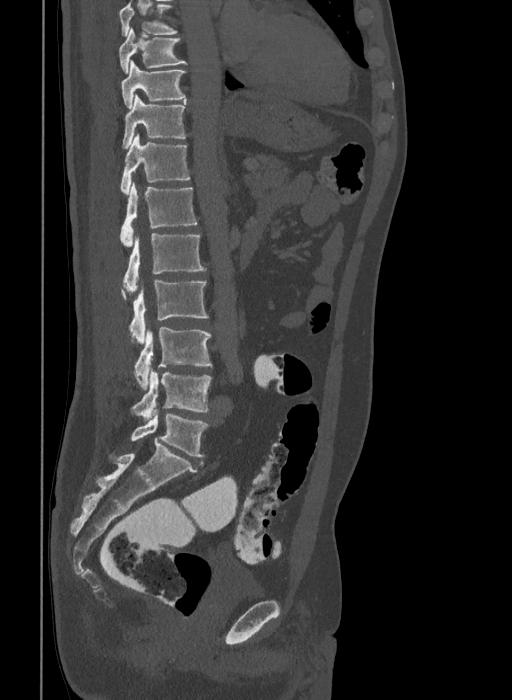
Spine CT · sagittal view · bone window
Boxes are given in columns x1, y1, x2, y2, the pixel coordinates of their top-left and bottom-right corners.
Labels in this scan begin with T9 at the top and end with L6 at the bottom.
These labels give the spine a sixth lumbar vertebra, L6, below L5.
| vertebra | x1 | y1 | x2 | y2 |
|---|---|---|---|---|
| T9 | 119 | 27 | 187 | 73 |
| T10 | 121 | 60 | 185 | 108 |
| T11 | 122 | 95 | 187 | 148 |
| T12 | 120 | 134 | 189 | 195 |
| L1 | 120 | 183 | 197 | 246 |
| L2 | 123 | 233 | 205 | 294 |
| L3 | 120 | 281 | 208 | 343 |
| L4 | 134 | 327 | 212 | 389 |
| L5 | 131 | 368 | 212 | 420 |
| L6 | 131 | 413 | 208 | 456 |